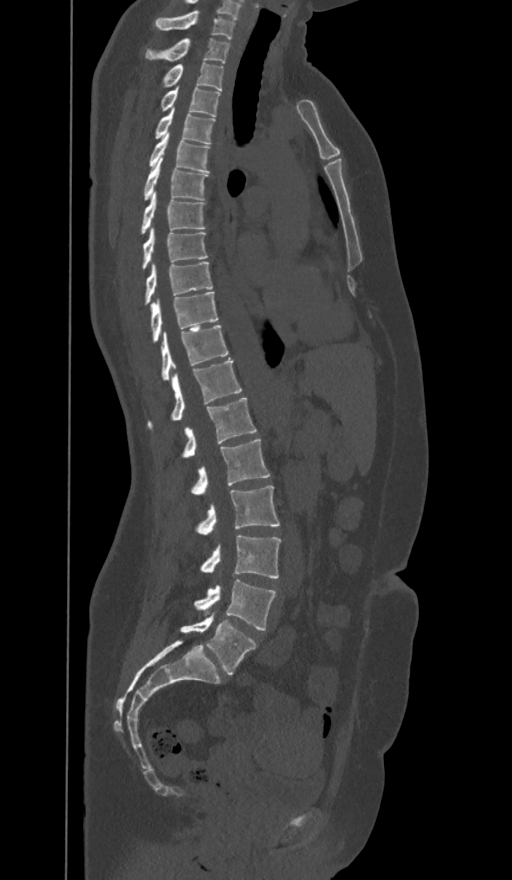
Spine CT · the image is 374 mm wide · sagittal view · bone-window reconstruction
Each box given as x1,y1,x2,y2.
These labels give the spine a sixth lumbar vertebra, L6, below L5.
C7: x1=155, y1=11, x2=234, y2=38
T1: x1=146, y1=38, x2=229, y2=63
T2: x1=164, y1=63, x2=223, y2=90
T3: x1=161, y1=86, x2=219, y2=116
T4: x1=156, y1=107, x2=214, y2=143
T5: x1=149, y1=132, x2=210, y2=171
T6: x1=144, y1=156, x2=206, y2=200
T7: x1=141, y1=191, x2=204, y2=233
T8: x1=142, y1=227, x2=207, y2=269
T9: x1=145, y1=262, x2=212, y2=303
T10: x1=150, y1=291, x2=218, y2=340
T11: x1=161, y1=325, x2=227, y2=380
T12: x1=148, y1=359, x2=241, y2=427
L1: x1=183, y1=398, x2=256, y2=457
L2: x1=191, y1=439, x2=270, y2=496
L3: x1=197, y1=485, x2=279, y2=535
L4: x1=201, y1=535, x2=281, y2=578
L5: x1=194, y1=580, x2=275, y2=630
L6: x1=181, y1=611, x2=255, y2=675